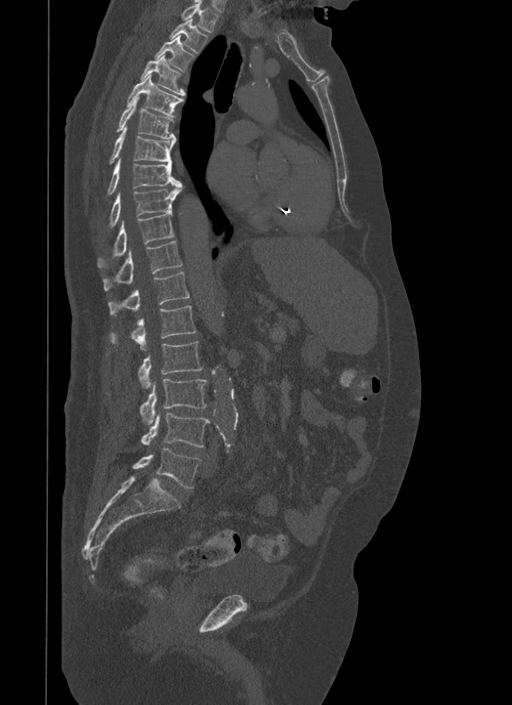

CT; sagittal view; image width 500 mm; bone-window reconstruction; 512x705 px
Boxes below are [x1, y1, x2, y2] in pixels.
{"vertebrae":{"T1":[181,0,218,32],"T2":[170,18,207,53],"T3":[155,35,194,71],"T4":[140,54,185,95],"T5":[126,74,183,117],"T6":[116,96,174,138],"T7":[109,127,176,164],"T8":[107,158,181,195],"T9":[109,183,183,227],"T10":[97,213,174,267],"T11":[103,241,182,291],"T12":[108,271,190,314],"L1":[109,305,196,350],"L2":[139,341,203,388],"L3":[141,378,207,424],"L4":[142,413,210,446],"L5":[133,447,200,488]}}